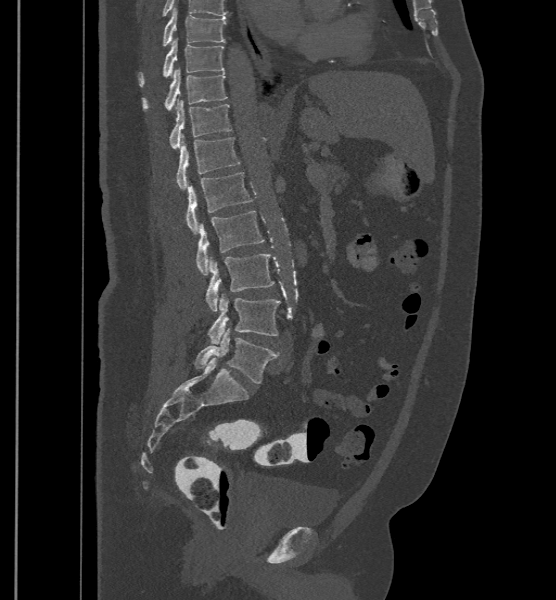 CT. sagittal view

Bounding boxes as [x1, y1, x2, y2] in pixel coordinates.
In these labels the spine has an L6, a sixth lumbar vertebra below L5.
Vertebra bounding boxes:
- T9: [162, 8, 226, 47]
- T10: [138, 39, 225, 86]
- T11: [142, 69, 227, 110]
- T12: [169, 100, 231, 148]
- L1: [176, 134, 240, 189]
- L2: [186, 172, 253, 234]
- L3: [195, 211, 265, 275]
- L4: [205, 253, 274, 311]
- L5: [207, 293, 280, 343]
- L6: [194, 328, 279, 382]